Computed tomography of the spine · sagittal view · bone window
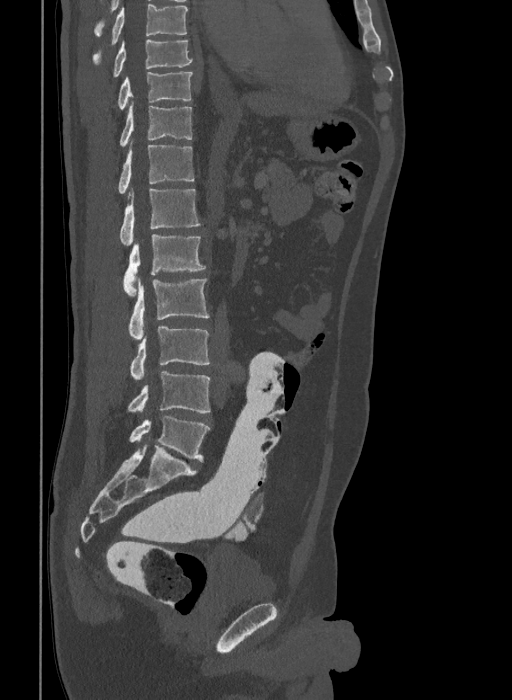

Labels in this scan begin with T9 at the top and end with L6 at the bottom.
The labels name a sixth lumbar vertebra for this spine: L6, after L5.
<vertebrae><v name="T9" x1="113" y1="39" x2="192" y2="78"/><v name="T10" x1="118" y1="71" x2="193" y2="109"/><v name="T11" x1="119" y1="105" x2="192" y2="147"/><v name="T12" x1="118" y1="139" x2="194" y2="198"/><v name="L1" x1="120" y1="189" x2="200" y2="245"/><v name="L2" x1="123" y1="234" x2="205" y2="295"/><v name="L3" x1="129" y1="279" x2="209" y2="339"/><v name="L4" x1="130" y1="327" x2="210" y2="380"/><v name="L5" x1="128" y1="371" x2="210" y2="412"/><v name="L6" x1="129" y1="416" x2="210" y2="461"/></vertebrae>